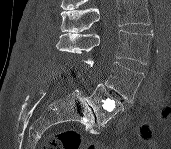
Spine computed tomography — sagittal reformat — image 171 mm wide
Columns x1, y1, x2, y2 give each box's top-left and bottom-right pixels.
Where the top of the scan cuts through a vertebra, that vertebra gets no label or box.
| vertebra | x1 | y1 | x2 | y2 |
|---|---|---|---|---|
| L3 | 56 | 30 | 153 | 64 |
| L4 | 84 | 59 | 145 | 102 |
| L5 | 84 | 84 | 124 | 126 |